Computed tomography of the spine · sagittal reformat · W/L 1800/400 HU · 10 vertebrae labeled in this scan
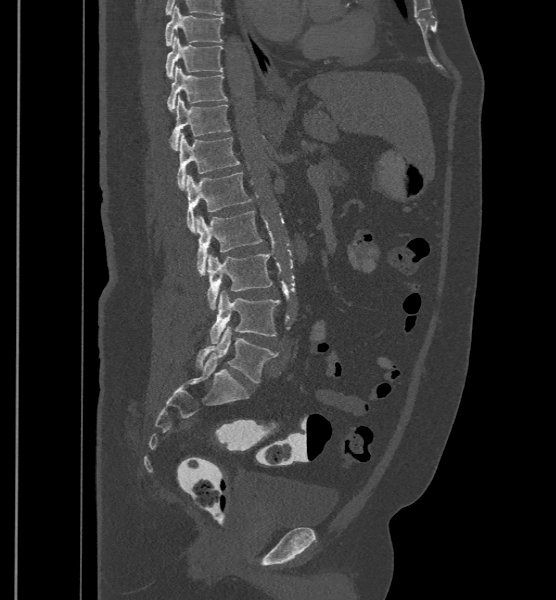
In these labels the spine has an L6, a sixth lumbar vertebra below L5.
<vertebrae><v name="T9" x1="165" y1="6" x2="224" y2="46"/><v name="T10" x1="166" y1="36" x2="223" y2="78"/><v name="T11" x1="167" y1="66" x2="227" y2="111"/><v name="T12" x1="170" y1="95" x2="230" y2="150"/><v name="L1" x1="177" y1="133" x2="239" y2="190"/><v name="L2" x1="186" y1="172" x2="251" y2="233"/><v name="L3" x1="196" y1="211" x2="263" y2="275"/><v name="L4" x1="206" y1="253" x2="272" y2="310"/><v name="L5" x1="208" y1="290" x2="280" y2="343"/><v name="L6" x1="195" y1="327" x2="278" y2="382"/></vertebrae>